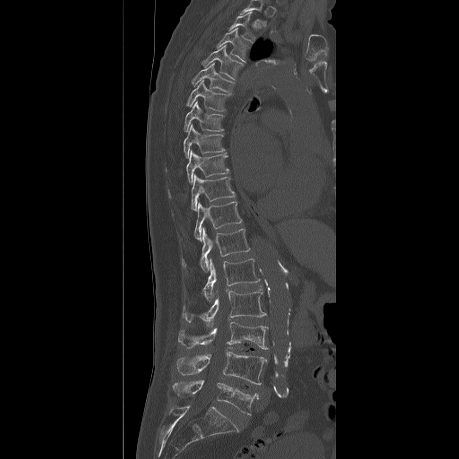
CT spine; sagittal view; bone-window reconstruction
Each row gives a vertebra's box as x1, y1, x2, y2 in pixels: top-left corner, then bottom-right corner.
Labels in this scan begin with T2 at the top and end with L5 at the bottom.
| vertebra | x1 | y1 | x2 | y2 |
|---|---|---|---|---|
| T2 | 230 | 12 | 254 | 43 |
| T3 | 216 | 28 | 249 | 62 |
| T4 | 202 | 45 | 242 | 79 |
| T5 | 192 | 62 | 234 | 92 |
| T6 | 187 | 80 | 225 | 111 |
| T7 | 184 | 101 | 223 | 131 |
| T8 | 183 | 125 | 225 | 158 |
| T9 | 186 | 151 | 228 | 183 |
| T10 | 191 | 175 | 234 | 211 |
| T11 | 194 | 201 | 241 | 240 |
| T12 | 182 | 228 | 249 | 272 |
| L1 | 202 | 258 | 259 | 301 |
| L2 | 182 | 290 | 265 | 326 |
| L3 | 178 | 321 | 267 | 349 |
| L4 | 176 | 351 | 266 | 384 |
| L5 | 173 | 380 | 258 | 414 |